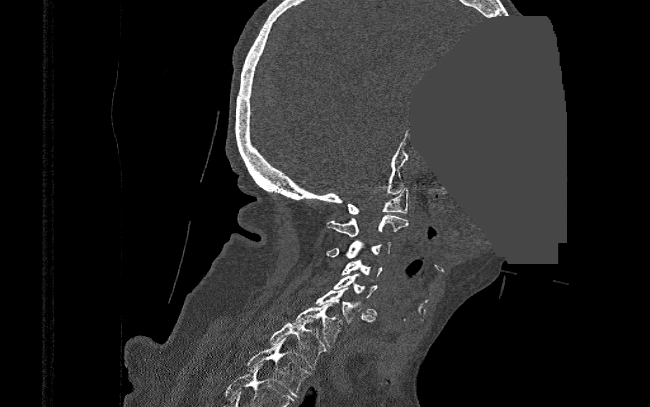
CT spine — sagittal view — 650x407 px — a region of this slice is masked with a uniform fill

Box edges are left/top/right/bottom in pixels. The labeled vertebrae in this slice are: C1 at left=347, top=188, right=408, bottom=214, C2 at left=326, top=215, right=409, bottom=236, C3 at left=325, top=239, right=391, bottom=258, C4 at left=342, top=260, right=382, bottom=276, C5 at left=333, top=274, right=376, bottom=315, C6 at left=315, top=287, right=375, bottom=322, C7 at left=291, top=302, right=342, bottom=346, T1 at left=269, top=319, right=325, bottom=369, T2 at left=248, top=338, right=310, bottom=397.